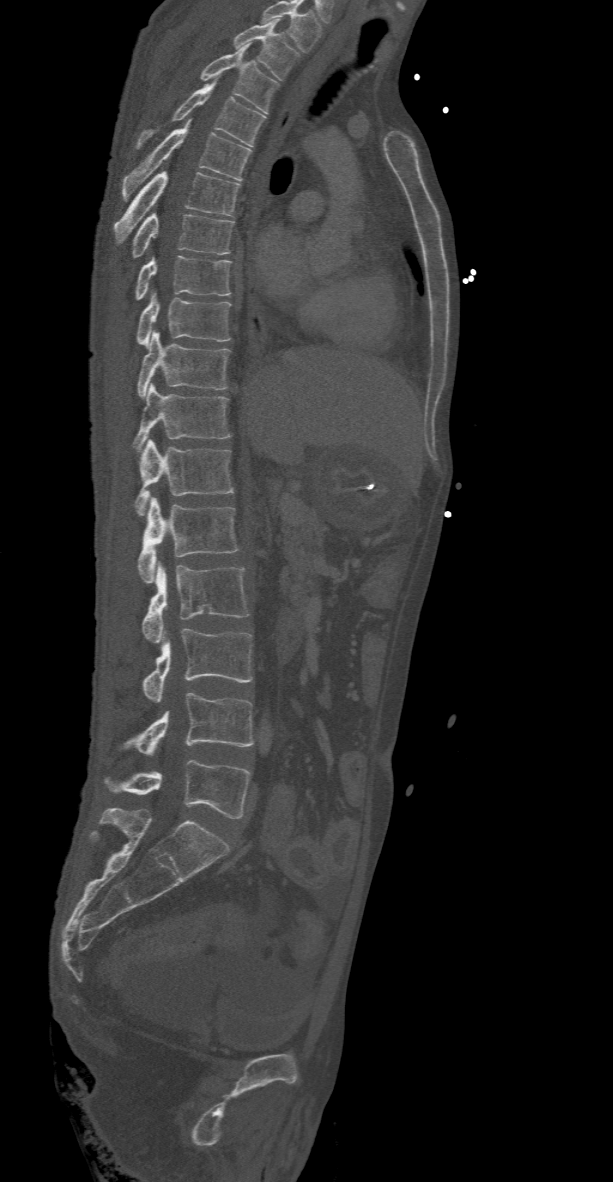 CT, spine. sagittal view. 368 mm image width. Bone window (WL 400, WW 1800)

Boxes below are [x1, y1, x2, y2] in pixels.
Labels in this scan begin with T2 at the top and end with L5 at the bottom.
{"vertebrae":{"T2":[234,20,298,80],"T3":[200,44,277,113],"T4":[137,79,265,148],"T5":[121,119,251,200],"T6":[113,171,241,245],"T7":[132,212,234,258],"T8":[134,256,230,300],"T9":[137,292,230,348],"T10":[137,331,230,398],"T11":[133,382,230,451],"T12":[134,439,234,515],"L1":[138,497,239,583],"L2":[141,562,248,643],"L3":[141,629,252,701],"L4":[123,692,254,755],"L5":[103,759,251,818]}}